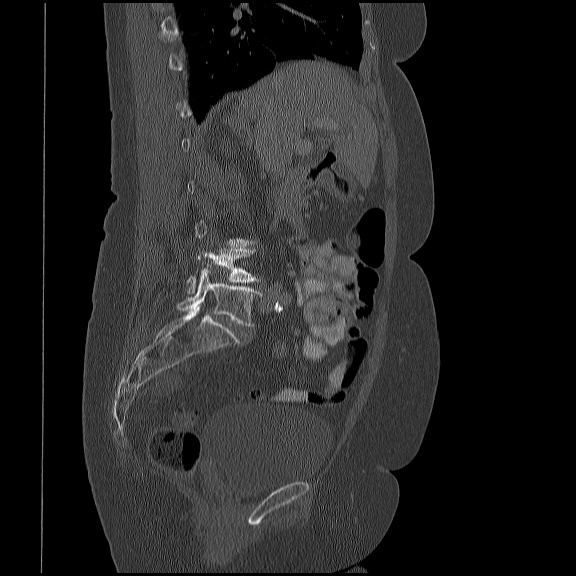
Spine computed tomography — 419 mm image width — sagittal view — 576x576 px

A vertebra is boxed only from the first to the last slice where its cross-section is at least a third of its largest; slices outside that range leave it without a box.
<vertebrae><v name="L4" x1="186" y1="248" x2="261" y2="294"/><v name="L5" x1="176" y1="268" x2="261" y2="325"/></vertebrae>